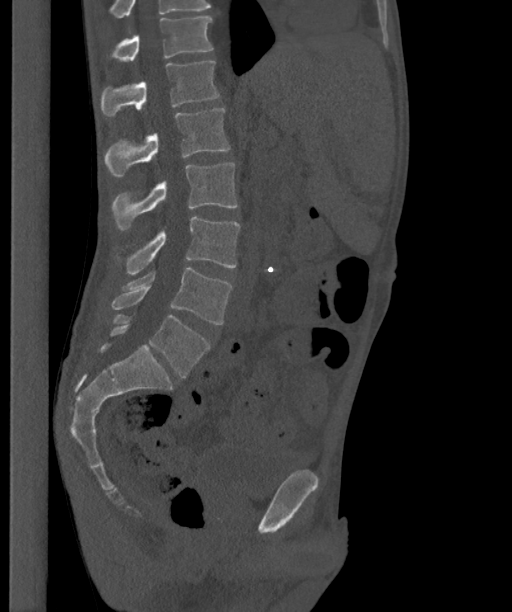 Spine CT. sagittal view. bone window. 512x612 px. Boxes: x1:y1:x2:y2 in pixels.
The highest labeled vertebra in this scan is T12; the lowest is L6.
These labels give the spine a sixth lumbar vertebra, L6, below L5.
T12: 108:17:213:61
L1: 100:61:219:116
L2: 104:108:230:177
L3: 111:162:237:230
L4: 117:217:240:274
L5: 111:268:232:324
L6: 110:315:209:377